CT spine. sagittal view. bone window. image width 171 mm
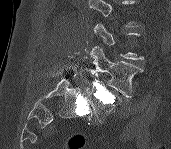
Each box given as x1,y1,x2,y2.
A vertebra gets a box only on the slices from the first to the last where its cross-section is at least a third of its largest; on a slice outside that range it gets none.
| vertebra | x1 | y1 | x2 | y2 |
|---|---|---|---|---|
| L4 | 86 | 46 | 143 | 97 |
| L5 | 88 | 80 | 122 | 120 |